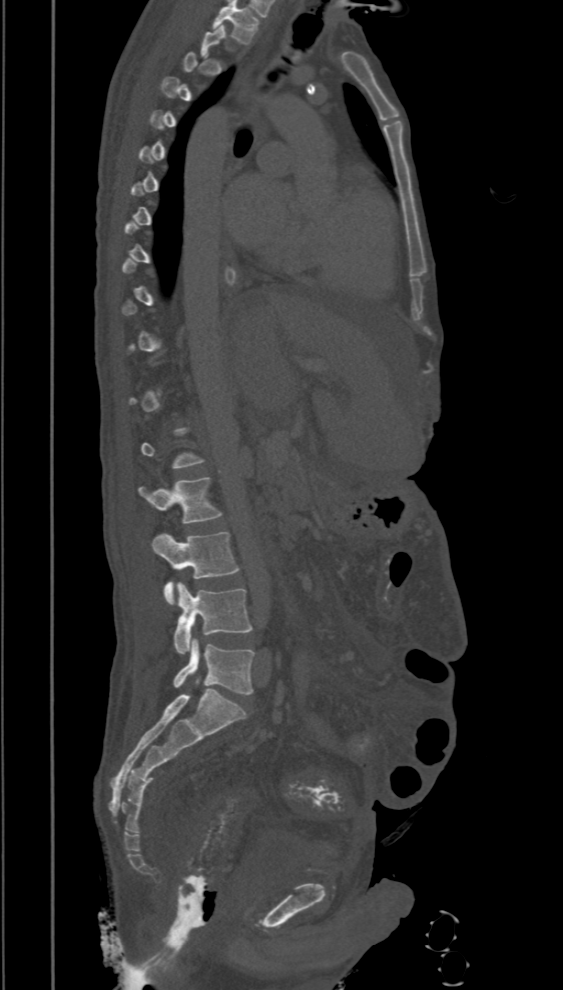
Spine computed tomography. sagittal view. bone-window reconstruction. 563x990 px

Box edges are left/top/right/bottom in pixels.
A vertebra gets a box only on the slices from the first to the last where its cross-section is at least a third of its largest; on a slice outside that range it gets none.
Vertebra bounding boxes:
- L2: left=139, top=477, right=222, bottom=524
- L3: left=152, top=532, right=239, bottom=604
- L4: left=174, top=582, right=252, bottom=654
- L5: left=173, top=639, right=254, bottom=694